Computed tomography of the spine. sagittal plane, index 46. some of the image was removed or blocked out with constant pixels
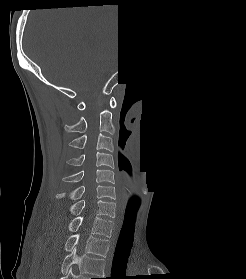 Boxes below are [x1, y1, x2, y2] in pixels.
The highest labeled vertebra in this scan is C1; the lowest is T2.
{"vertebrae":{"C1":[77,97,116,110],"C2":[64,110,114,134],"C3":[68,133,113,151],"C4":[66,151,114,168],"C5":[62,169,114,183],"C6":[55,185,115,200],"C7":[70,200,115,217],"T1":[68,216,113,237],"T2":[64,234,109,257]}}